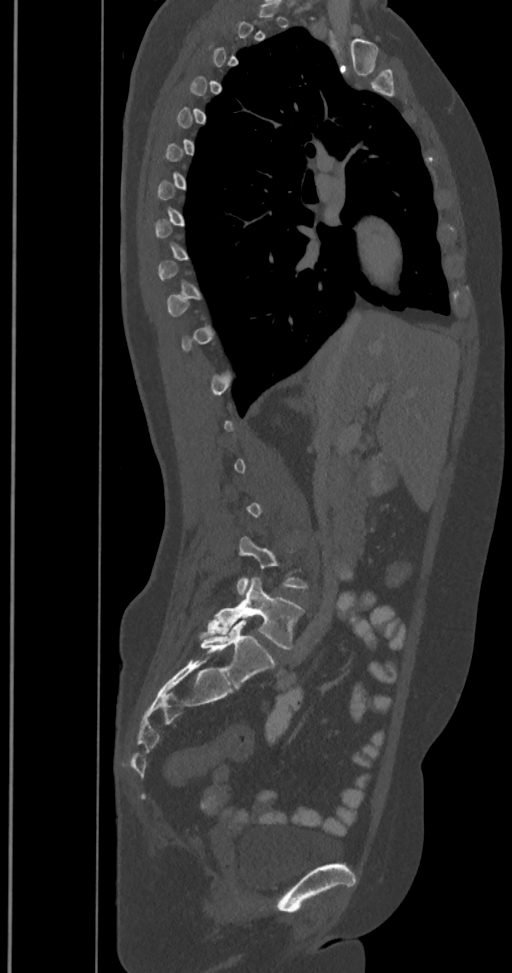

CT · the image spans 350 mm across · sagittal view · Bone window (WL 400, WW 1800)

Boxes are given in columns x1, y1, x2, y2, the pixel coordinates of their top-left and bottom-right corners.
A vertebra is boxed only from the first to the last slice where its cross-section is at least a third of its largest; slices outside that range leave it without a box.
These labels give the spine a sixth lumbar vertebra, L6, below L5.
| vertebra | x1 | y1 | x2 | y2 |
|---|---|---|---|---|
| L5 | 199 | 577 | 303 | 649 |
| L6 | 200 | 620 | 275 | 686 |